Spine computed tomography. Sagittal slice 334/512. W/L 1800/400 HU. 157 mm wide
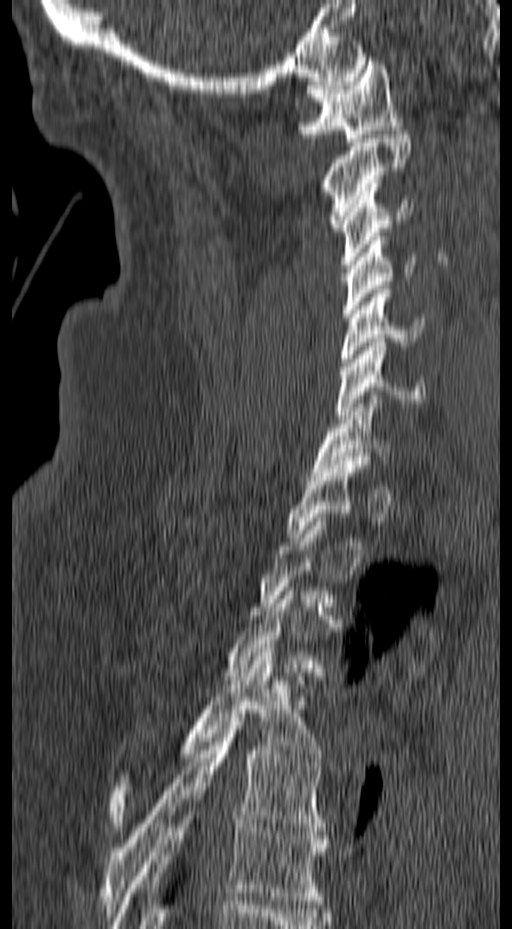

Boxes below are [x1, y1, x2, y2] in pixels.
Not every vertebra on this slice has a box: a vertebra is boxed only from the first to the last slice where its cross-section is at least a third of its largest, and this slice is outside that range for at least one of them.
{"vertebrae":{"C1":[297,57,402,142],"C2":[317,130,411,231],"C3":[339,183,414,268],"C4":[343,232,417,317],"C5":[339,285,424,370],"C6":[334,338,425,419],"C7":[311,391,391,476],"T1":[285,457,369,541],"T4":[110,648,323,827],"T5":[102,713,326,916],"T6":[110,787,330,928]}}